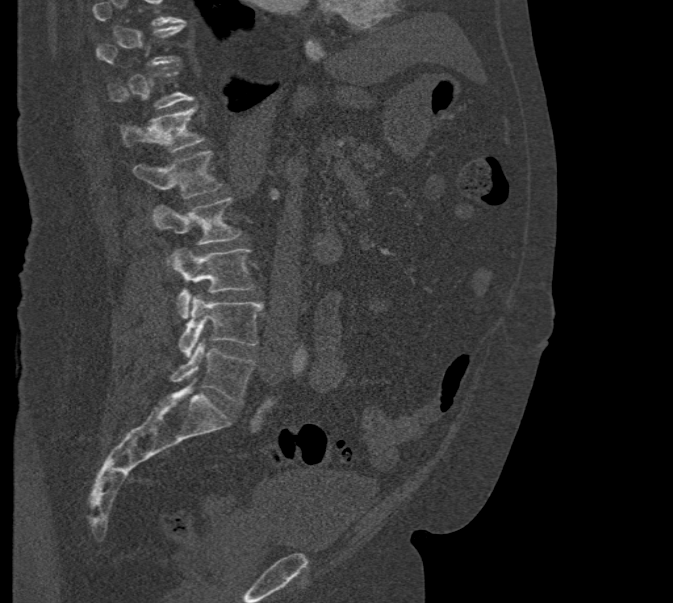 Spine computed tomography; sagittal reformat; W/L 1800/400 HU; 673x603 px

A vertebra cut off by the top edge of the scan is not labeled and has no box.
<vertebrae><v name="L5" x1="170" y1="342" x2="255" y2="404"/><v name="L4" x1="179" y1="293" x2="263" y2="357"/><v name="L3" x1="171" y1="249" x2="253" y2="318"/><v name="L2" x1="151" y1="198" x2="242" y2="262"/><v name="L1" x1="133" y1="150" x2="224" y2="198"/><v name="T12" x1="120" y1="106" x2="204" y2="152"/><v name="T11" x1="109" y1="70" x2="193" y2="108"/><v name="T10" x1="96" y1="22" x2="184" y2="65"/></vertebrae>